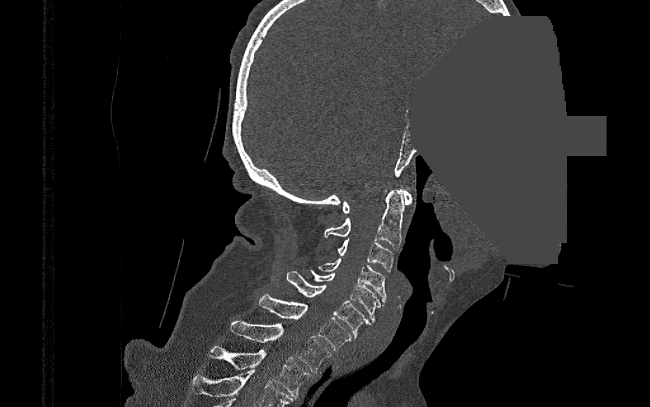
CT. sagittal view. image width 390 mm. bone-window reconstruction. part of the image is a flat gray fill, not anatomy. Each row gives a vertebra's box as x1, y1, x2, y2 in pixels: top-left corner, then bottom-right corner.
| vertebra | x1 | y1 | x2 | y2 |
|---|---|---|---|---|
| T2 | 208 | 346 | 310 | 397 |
| T1 | 229 | 320 | 330 | 371 |
| C7 | 258 | 294 | 352 | 350 |
| C6 | 287 | 271 | 374 | 337 |
| C5 | 310 | 270 | 380 | 322 |
| C4 | 319 | 258 | 386 | 306 |
| C3 | 336 | 239 | 393 | 273 |
| C2 | 324 | 190 | 404 | 248 |
| C1 | 342 | 189 | 412 | 213 |